Computed tomography of the spine; Sagittal slice 168/250; image 250 mm wide; scan covers 19 annotated vertebrae
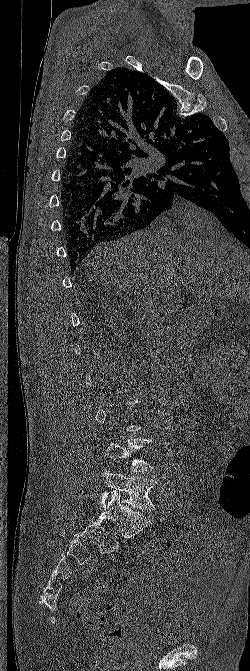
Each row gives a vertebra's box as x1, y1, x2, y2 in pixels: top-left corner, then bottom-right corner.
Not every vertebra on this slice has a box: a vertebra is boxed only from the first to the last slice where its cross-section is at least a third of its largest, and this slice is outside that range for at least one of them.
| vertebra | x1 | y1 | x2 | y2 |
|---|---|---|---|---|
| L4 | 104 | 439 | 153 | 471 |
| L5 | 99 | 469 | 157 | 510 |